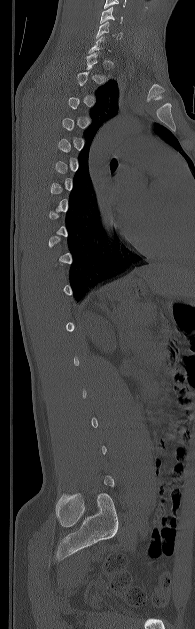

CT — sagittal view — 195x629 px
In the table, x1 and y1 are a box's top-left corner and x2 and y2 its bottom-right corner, in pixels.
A vertebra gets a box only on the slices from the first to the last where its cross-section is at least a third of its largest; on a slice outside that range it gets none.
| vertebra | x1 | y1 | x2 | y2 |
|---|---|---|---|---|
| C6 | 96 | 21 | 122 | 39 |
| C5 | 100 | 7 | 123 | 23 |